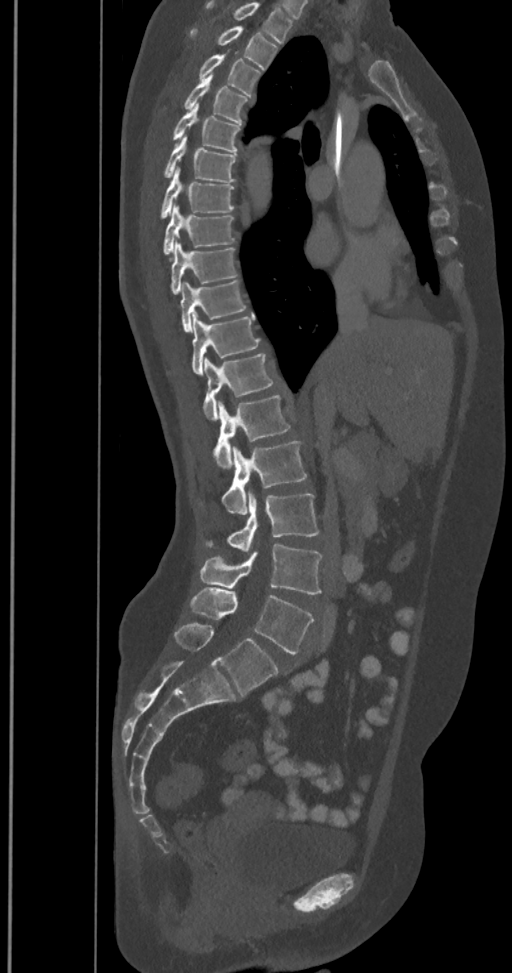 Spine computed tomography; sagittal view

Box edges are left/top/right/bottom in pixels.
In this scan, the topmost labeled vertebra is T2 and the lowest is L6.
The labels name a sixth lumbar vertebra for this spine: L6, after L5.
T2: left=190, top=26, right=277, bottom=70
T3: left=199, top=50, right=261, bottom=96
T4: left=184, top=74, right=249, bottom=124
T5: left=172, top=103, right=240, bottom=152
T6: left=165, top=134, right=236, bottom=182
T7: left=161, top=167, right=234, bottom=218
T8: left=164, top=204, right=234, bottom=254
T9: left=170, top=240, right=237, bottom=294
T10: left=180, top=282, right=246, bottom=331
T11: left=191, top=313, right=259, bottom=376
T12: left=203, top=354, right=277, bottom=420
L1: left=213, top=395, right=291, bottom=469
L2: left=222, top=441, right=306, bottom=514
L3: left=209, top=490, right=319, bottom=552
L4: left=200, top=542, right=322, bottom=594
L5: left=190, top=587, right=313, bottom=653
L6: left=174, top=624, right=278, bottom=695